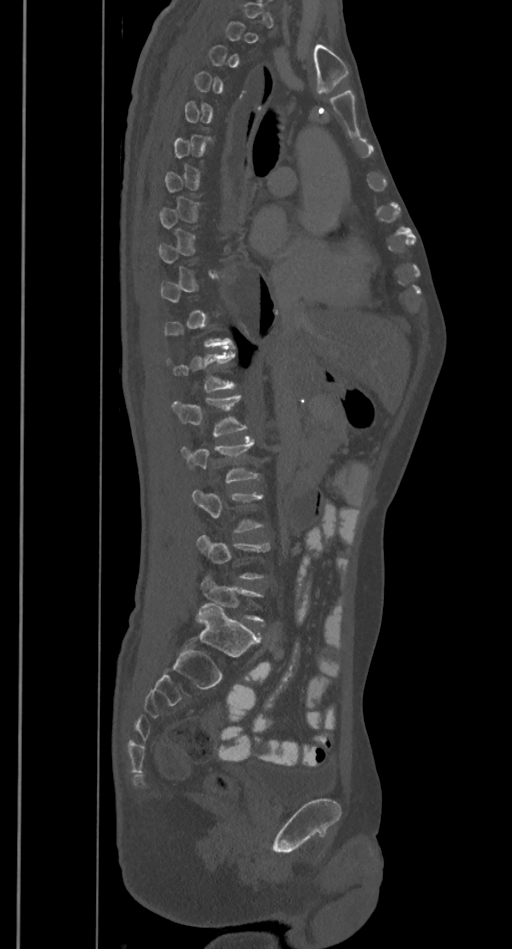

Spine CT — sagittal view
Not every vertebra on this slice has a box: a vertebra is boxed only from the first to the last slice where its cross-section is at least a third of its largest, and this slice is outside that range for at least one of them.
<vertebrae><v name="L2" x1="182" y1="438" x2="258" y2="483"/><v name="L1" x1="171" y1="395" x2="248" y2="436"/></vertebrae>